CT, spine · sagittal plane, index 20 · bone-window reconstruction · 204x272 px · 6 vertebrae labeled in this scan
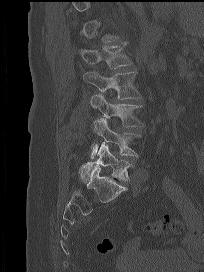 Boxes are given in columns x1, y1, x2, y2, the pixel coordinates of their top-left and bottom-right corners.
A vertebra is boxed only from the first to the last slice where its cross-section is at least a third of its largest; slices outside that range leave it without a box.
| vertebra | x1 | y1 | x2 | y2 |
|---|---|---|---|---|
| L1 | 78 | 42 | 132 | 68 |
| L2 | 83 | 71 | 141 | 99 |
| L3 | 90 | 94 | 143 | 126 |
| L4 | 91 | 118 | 140 | 158 |
| L5 | 79 | 142 | 131 | 182 |